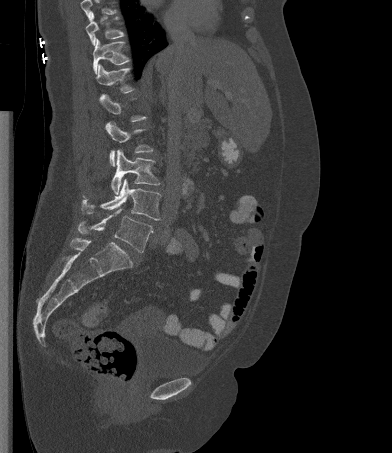 CT; sagittal view; bone window; 392x453 px; 392 mm wide. Coordinates as <box>x1,y1,x2,y2</box>. A vertebra gets a box only on the slices from the first to the last where its cross-section is at least a third of its largest; on a slice outside that range it gets none. Vertebrae that run past the top of the scan are left unlabeled. 7 vertebrae labeled — L5 at <box>78,208,153,252</box>; L4 at <box>81,179,161,220</box>; L3 at <box>111,149,160,194</box>; L2 at <box>106,121,153,166</box>; T12 at <box>96,64,134,93</box>; T11 at <box>93,38,130,74</box>; T10 at <box>85,12,124,45</box>.